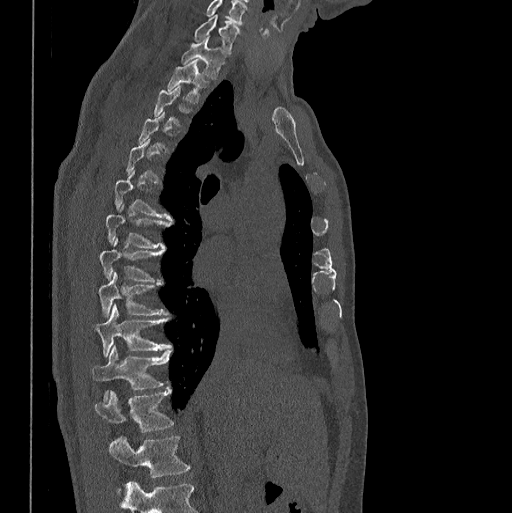 Computed tomography of the spine. sagittal reformat. the image spans 398 mm across. Bone window (WL 400, WW 1800)
Boxes: x1:y1:x2:y2 in pixels.
Not every vertebra on this slice has a box: a vertebra is boxed only from the first to the last slice where its cross-section is at least a third of its largest, and this slice is outside that range for at least one of them.
In this scan, the topmost labeled vertebra is C7 and the lowest is L1.
C7: 194:15:238:51
T1: 181:37:224:77
T2: 168:59:209:100
T7: 105:205:170:249
T8: 99:240:160:280
T9: 98:272:167:316
T10: 94:304:171:357
T11: 92:346:171:398
T12: 95:389:173:432
L1: 108:435:189:477